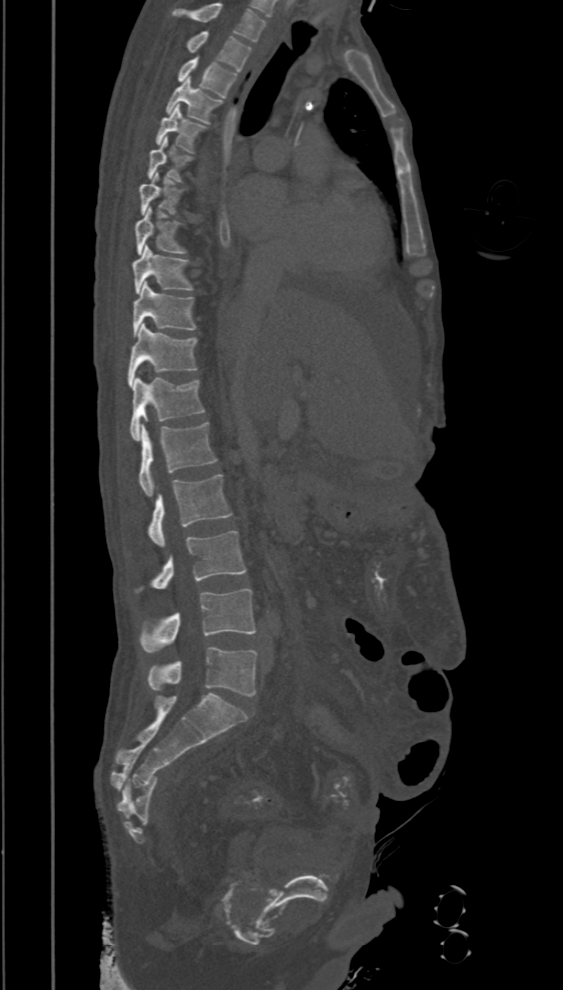
Spine CT — sagittal view — bone-window reconstruction — 563x990 px

Boxes: x1 y1 x2 y2 (pixel coords, space-separated).
In this scan, the topmost labeled vertebra is T2 and the lowest is L5.
T2: 186 31 252 71
T3: 177 57 238 98
T4: 166 77 222 124
T5: 155 105 206 152
T6: 147 136 194 182
T7: 140 173 183 215
T8: 135 207 187 255
T9: 133 245 194 294
T10: 133 282 196 336
T11: 128 323 197 386
T12: 130 377 205 439
L1: 139 422 218 496
L2: 147 475 232 546
L3: 134 530 246 592
L4: 139 589 256 652
L5: 147 647 256 696